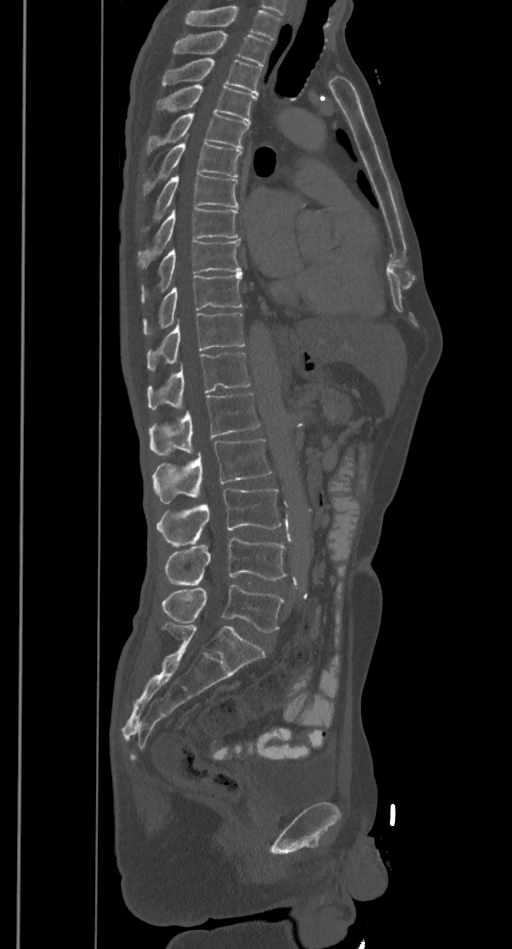 Computed tomography of the spine · sagittal view · Bone window (WL 400, WW 1800) · 512x949 px
Box edges are left/top/right/bottom in pixels.
A vertebra cut off by the top edge of the scan is not labeled and has no box.
T2: left=173, top=30, right=271, bottom=66
T3: left=162, top=59, right=261, bottom=95
T4: left=155, top=85, right=257, bottom=122
T5: left=146, top=113, right=248, bottom=156
T6: left=142, top=142, right=242, bottom=198
T7: left=139, top=174, right=238, bottom=237
T8: left=137, top=208, right=238, bottom=269
T9: left=141, top=241, right=241, bottom=303
T10: left=143, top=273, right=242, bottom=335
T11: left=146, top=312, right=245, bottom=370
T12: left=147, top=352, right=252, bottom=408
L1: left=149, top=394, right=259, bottom=456
L2: left=151, top=438, right=271, bottom=503
L3: left=157, top=490, right=282, bottom=546
L4: left=165, top=539, right=286, bottom=585
L5: left=162, top=585, right=285, bottom=632